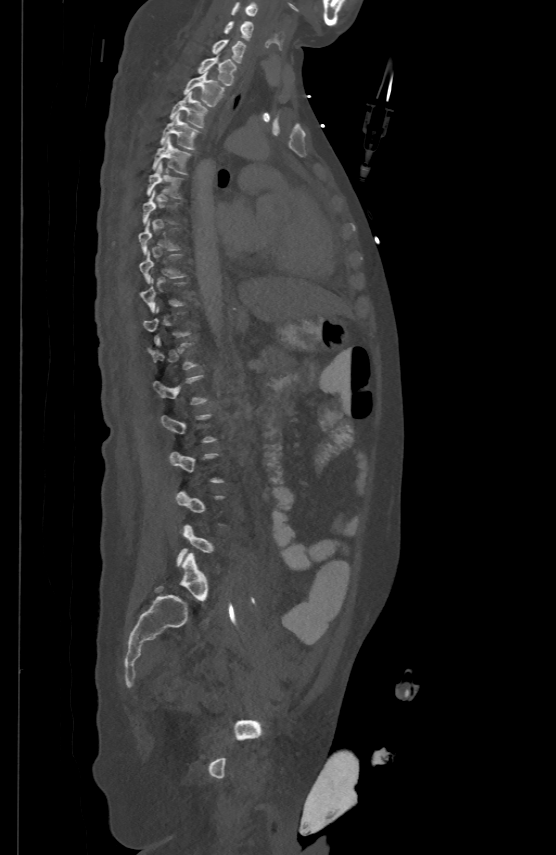

CT spine — sagittal reformat — W/L 1800/400 HU — 556x855 px. Each box given as x1,y1,x2,y2.
A vertebra is boxed only from the first to the last slice where its cross-section is at least a third of its largest; slices outside that range leave it without a box.
Vertebra bounding boxes:
- C5: x1=231, y1=1, x2=257, y2=15
- C6: x1=225, y1=21, x2=253, y2=39
- C7: x1=213, y1=39, x2=245, y2=62
- T1: x1=197, y1=55, x2=236, y2=84
- T2: x1=183, y1=71, x2=225, y2=105
- T3: x1=170, y1=91, x2=207, y2=126
- T4: x1=160, y1=112, x2=199, y2=148
- T5: x1=152, y1=136, x2=190, y2=173
- T6: x1=146, y1=161, x2=182, y2=199